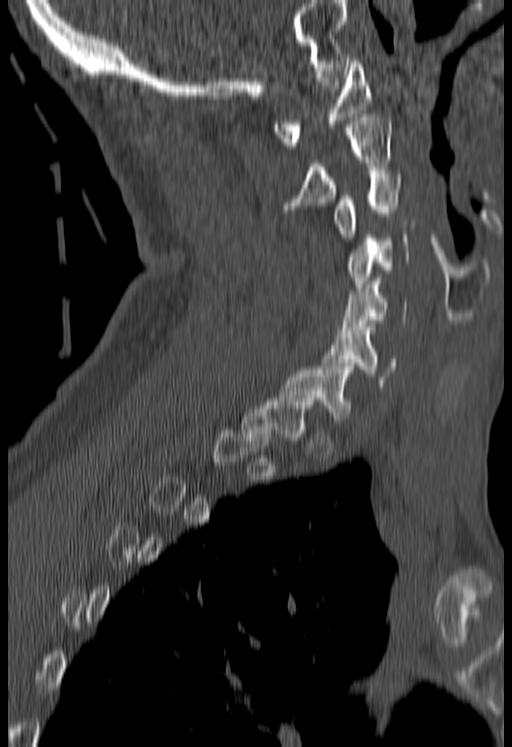
Computed tomography of the spine. sagittal view
Boxes: x1:y1:x2:y2 in pixels.
Each vertebra is boxed only on the slices from the first to the last where its cross-section reaches a third of its largest, so a slice outside that range leaves it unboxed.
Vertebra bounding boxes:
- C1: 273:60:370:148
- C2: 283:114:392:212
- C3: 334:174:401:241
- C4: 348:224:415:287
- C5: 339:281:407:333
- C6: 322:324:396:387